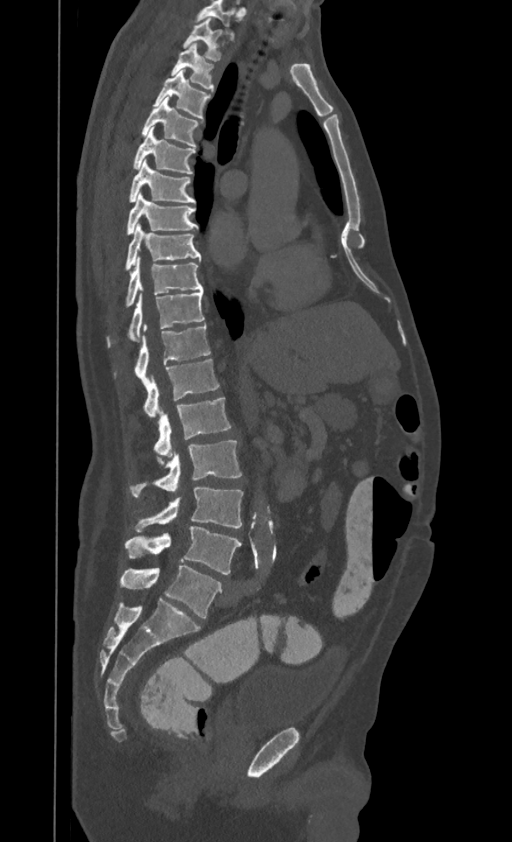

Computed tomography of the spine — sagittal view — the image is 395 mm wide — bone-window reconstruction. Boxes: x1:y1:x2:y2 in pixels.
Labels in this scan begin with T1 at the top and end with L4 at the bottom.
Vertebra bounding boxes:
- T1: 183:17:222:61
- T2: 171:43:214:91
- T3: 154:70:210:120
- T4: 141:97:198:147
- T5: 133:127:195:174
- T6: 128:160:195:202
- T7: 126:192:197:235
- T8: 124:224:201:271
- T9: 124:258:202:307
- T10: 106:292:204:348
- T11: 114:324:210:386
- T12: 142:359:219:417
- L1: 153:397:231:455
- L2: 129:440:241:498
- L3: 133:488:243:532
- L4: 124:526:241:574